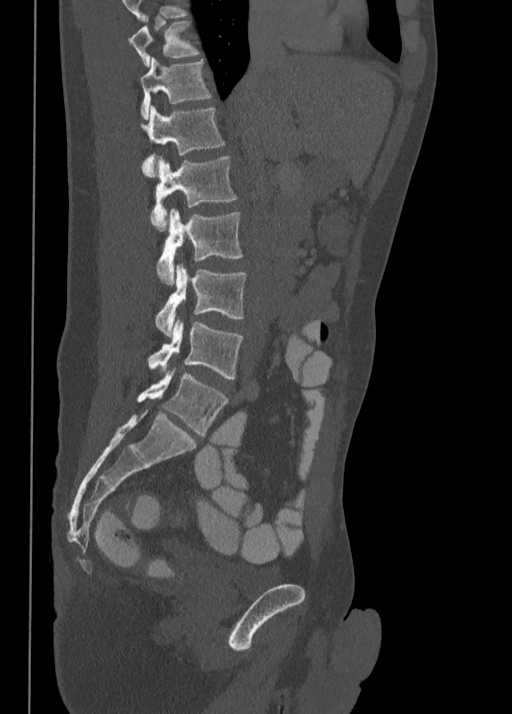
CT spine. sagittal view. W/L 1800/400 HU. 512x714 px

In the table, x1 and y1 are a box's top-left corner and x2 and y2 its bottom-right corner, in pixels.
This scan's labels start at T10 at the top and end at L5 at the bottom.
| vertebra | x1 | y1 | x2 | y2 |
|---|---|---|---|---|
| L5 | 137 | 369 | 227 | 436 |
| L4 | 148 | 320 | 242 | 379 |
| L3 | 155 | 265 | 246 | 336 |
| L2 | 156 | 209 | 242 | 283 |
| L1 | 150 | 157 | 236 | 231 |
| T12 | 141 | 103 | 224 | 178 |
| T11 | 139 | 57 | 211 | 119 |
| T10 | 128 | 21 | 199 | 66 |